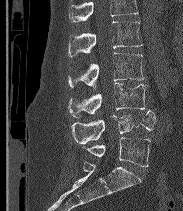
Spine computed tomography · sagittal reformat · 183x211 px
Box values are [left, top, right, bottom] in pixels.
A vertebra cut off by the top edge of the scan is not labeled and has no box.
The labels name a sixth lumbar vertebra for this spine: L6, after L5.
{"vertebrae":{"L2":[68,21,142,57],"L3":[68,53,144,88],"L4":[68,83,147,118],"L5":[71,110,155,143],"L6":[84,137,150,166]}}